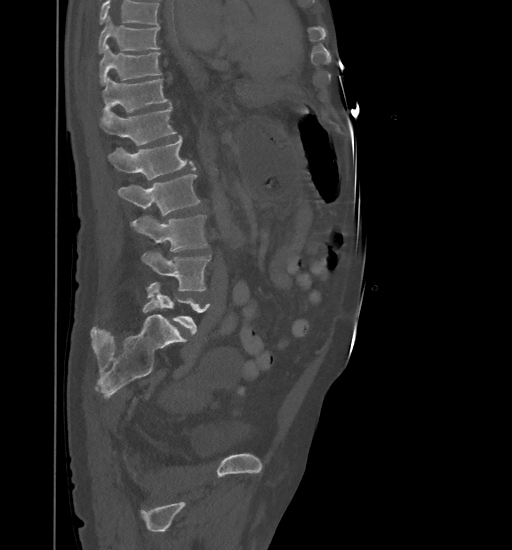

Spine CT · sagittal view

Box edges are left/top/right/bottom in pixels. No box is given to a vertebra that the top edge of the scan cuts off. Vertebrae labeled: T9 at left=98, top=17, right=160, bottom=54, T10 at left=99, top=44, right=161, bottom=85, T11 at left=103, top=77, right=170, bottom=118, T12 at left=99, top=105, right=175, bottom=145, L1 at left=108, top=136, right=195, bottom=179, L2 at left=117, top=175, right=201, bottom=216, L3 at left=132, top=215, right=207, bottom=251, L4 at left=141, top=251, right=211, bottom=290, L5 at left=146, top=282, right=211, bottom=336.